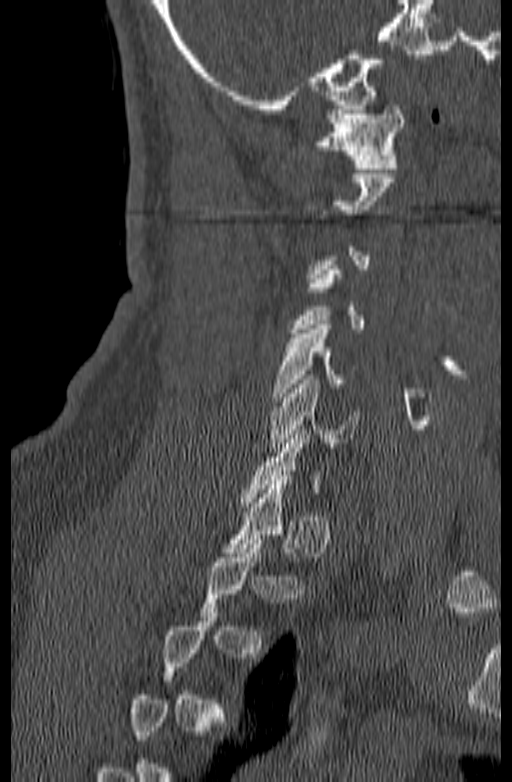
Computed tomography of the spine — sagittal reformat — bone-window reconstruction

Each box is [x1, y1, x2, y2] in pixels: top-left corner, then bottom-right corner.
Not every vertebra on this slice has a box: a vertebra is boxed only from the first to the last slice where its cross-section is at least a third of its largest, and this slice is outside that range for at least one of them.
{"vertebrae":{"C1":[312,105,404,168],"C5":[272,325,358,401],"C6":[268,375,359,452]}}